Spine computed tomography. Sagittal slice 36/86. the image is 218 mm wide. 18 vertebrae labeled in this scan
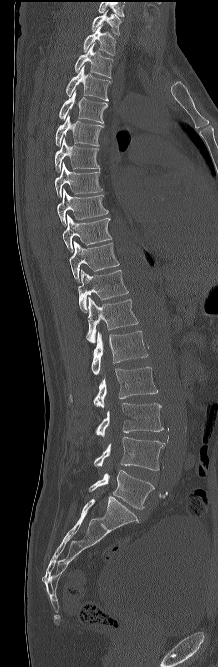
In this scan, the topmost labeled vertebra is C7 and the lowest is L5.
<vertebrae><v name="C7" x1="92" y1="10" x2="121" y2="35"/><v name="T1" x1="84" y1="24" x2="116" y2="55"/><v name="T2" x1="75" y1="43" x2="113" y2="81"/><v name="T3" x1="66" y1="66" x2="111" y2="100"/><v name="T4" x1="59" y1="91" x2="107" y2="123"/><v name="T5" x1="55" y1="114" x2="103" y2="146"/><v name="T6" x1="55" y1="138" x2="99" y2="172"/><v name="T7" x1="55" y1="162" x2="102" y2="197"/><v name="T8" x1="57" y1="189" x2="108" y2="226"/><v name="T9" x1="62" y1="215" x2="111" y2="252"/><v name="T10" x1="69" y1="241" x2="119" y2="281"/><v name="T11" x1="78" y1="270" x2="128" y2="312"/><v name="T12" x1="86" y1="297" x2="138" y2="343"/><v name="L1" x1="91" y1="331" x2="148" y2="375"/><v name="L2" x1="69" y1="366" x2="157" y2="408"/><v name="L3" x1="94" y1="403" x2="163" y2="436"/><v name="L4" x1="94" y1="437" x2="165" y2="470"/><v name="L5" x1="89" y1="470" x2="154" y2="509"/></vertebrae>